CT. sagittal plane, index 274. W/L 1800/400 HU. 512x634 px
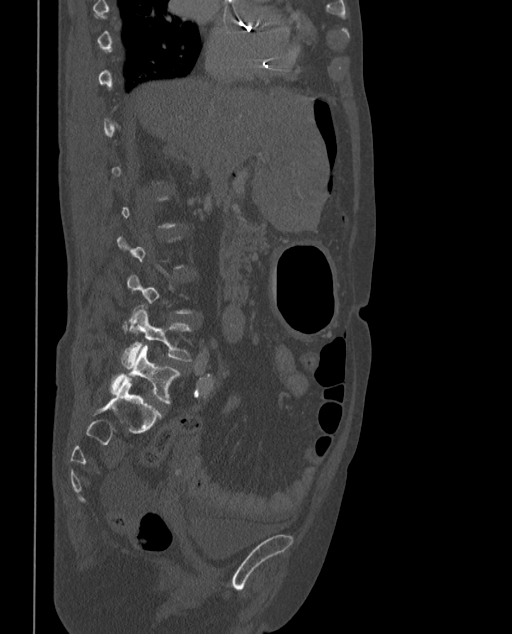

Boxes: x1 y1 x2 y2 (pixel coords, space-separated).
Not every vertebra on this slice has a box: a vertebra is boxed only from the first to the last slice where its cross-section is at least a third of its largest, and this slice is outside that range for at least one of them.
In these labels the spine has an L6, a sixth lumbar vertebra below L5.
Vertebra bounding boxes:
- L6: 111 346 180 404
- L5: 122 304 191 367